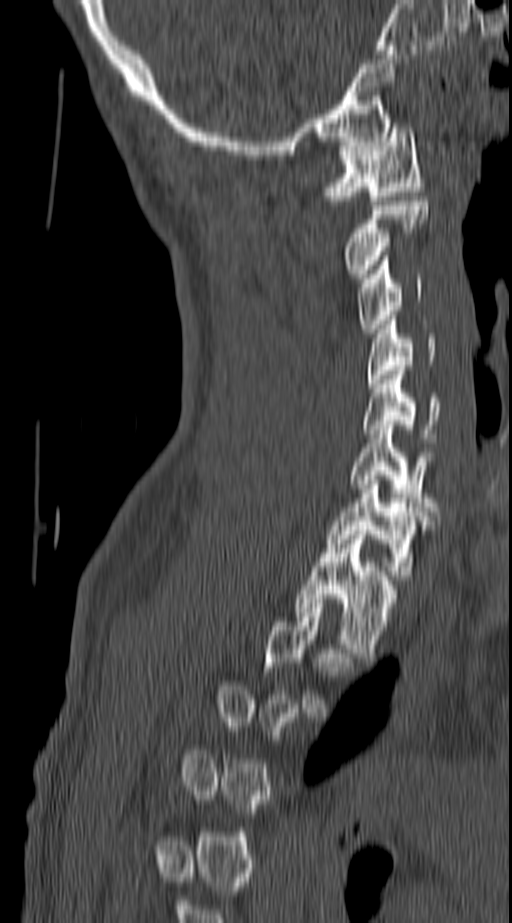
CT spine · sagittal view · 140 mm wide
Box edges are left/top/right/bottom in pixels.
Not every vertebra on this slice has a box: a vertebra is boxed only from the first to the last slice where its cross-section is at least a third of its largest, and this slice is outside that range for at least one of them.
| vertebra | x1 | y1 | x2 | y2 |
|---|---|---|---|---|
| C1 | 323 | 123 | 424 | 200 |
| C2 | 345 | 201 | 428 | 278 |
| C3 | 358 | 256 | 421 | 333 |
| C4 | 367 | 320 | 436 | 388 |
| C5 | 363 | 370 | 439 | 442 |
| C6 | 349 | 425 | 436 | 511 |
| C7 | 327 | 480 | 425 | 580 |
| T1 | 294 | 530 | 395 | 657 |